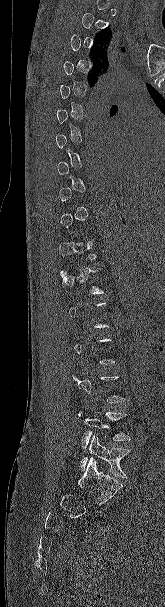

CT spine · sagittal view · bone-window reconstruction · 165x607 px
A vertebra is boxed only from the first to the last slice where its cross-section is at least a third of its largest; slices outside that range leave it without a box.
<vertebrae><v name="L4" x1="77" y1="410" x2="130" y2="449"/><v name="L5" x1="80" y1="433" x2="130" y2="478"/></vertebrae>